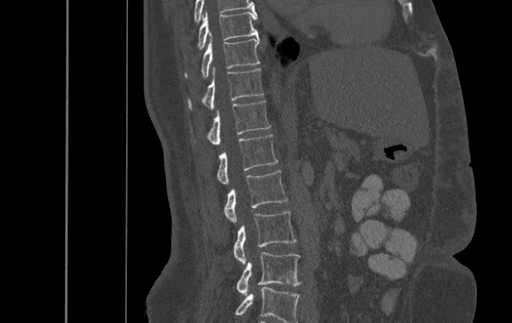 CT spine — sagittal reformat — 512x323 px
Boxes: x1 y1 x2 y2 (pixel coords, space-separated).
This scan's labels start at T9 at the top and end at L4 at the bottom.
Vertebra bounding boxes:
- T9: 198 12 258 48
- T10: 186 38 259 77
- T11: 189 68 263 109
- T12: 207 100 270 144
- L1: 217 134 277 183
- L2: 224 170 287 222
- L3: 234 211 296 264
- L4: 237 252 300 296